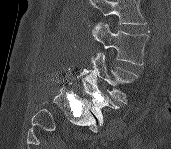

CT — sagittal view
Each box given as x1,y1,x2,y2.
A vertebra cut off by the top edge of the scan is not labeled and has no box.
| vertebra | x1 | y1 | x2 | y2 |
|---|---|---|---|---|
| L3 | 91 | 23 | 148 | 65 |
| L4 | 77 | 52 | 138 | 105 |
| L5 | 82 | 70 | 118 | 125 |